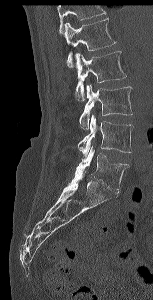 Spine computed tomography. sagittal view. bone window

Bounding boxes as [x1, y1, x2, y2] in pixel coordinates. Where the top of the scan cuts through a vertebra, that vertebra gets no label or box. The labeled vertebrae in this slice are: L5 at [74, 145, 129, 192], L4 at [77, 114, 133, 155], L3 at [79, 84, 132, 130], L2 at [75, 51, 126, 100], L1 at [64, 18, 116, 67].